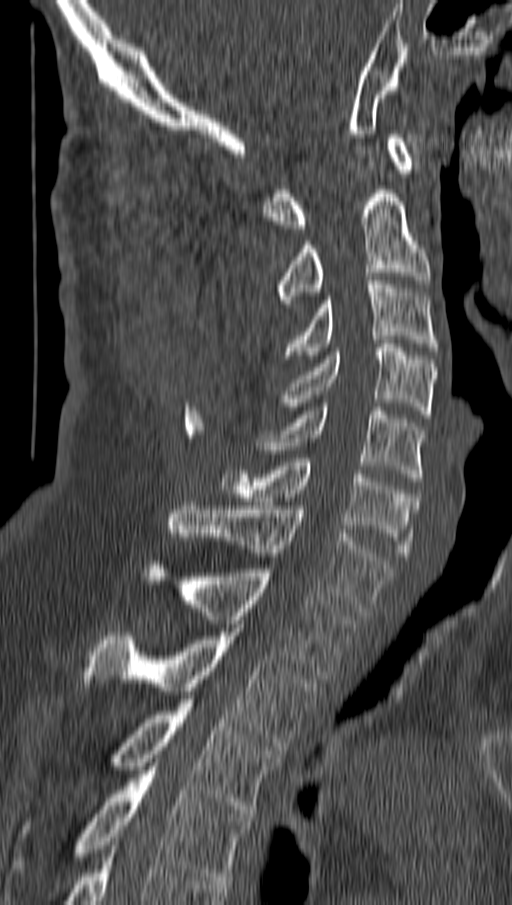

Spine CT; sagittal view; bone window

<vertebrae><v name="C1" x1="263" y1="134" x2="414" y2="232"/><v name="C2" x1="273" y1="186" x2="430" y2="311"/><v name="C3" x1="283" y1="280" x2="439" y2="359"/><v name="C4" x1="286" y1="344" x2="436" y2="418"/><v name="C5" x1="260" y1="403" x2="424" y2="485"/><v name="C6" x1="220" y1="462" x2="417" y2="560"/><v name="C7" x1="169" y1="502" x2="392" y2="615"/><v name="T1" x1="143" y1="565" x2="357" y2="679"/><v name="T2" x1="83" y1="628" x2="316" y2="750"/><v name="T3" x1="115" y1="699" x2="278" y2="817"/><v name="T4" x1="80" y1="762" x2="250" y2="884"/></vertebrae>